Spine CT · sagittal view · bone-window reconstruction
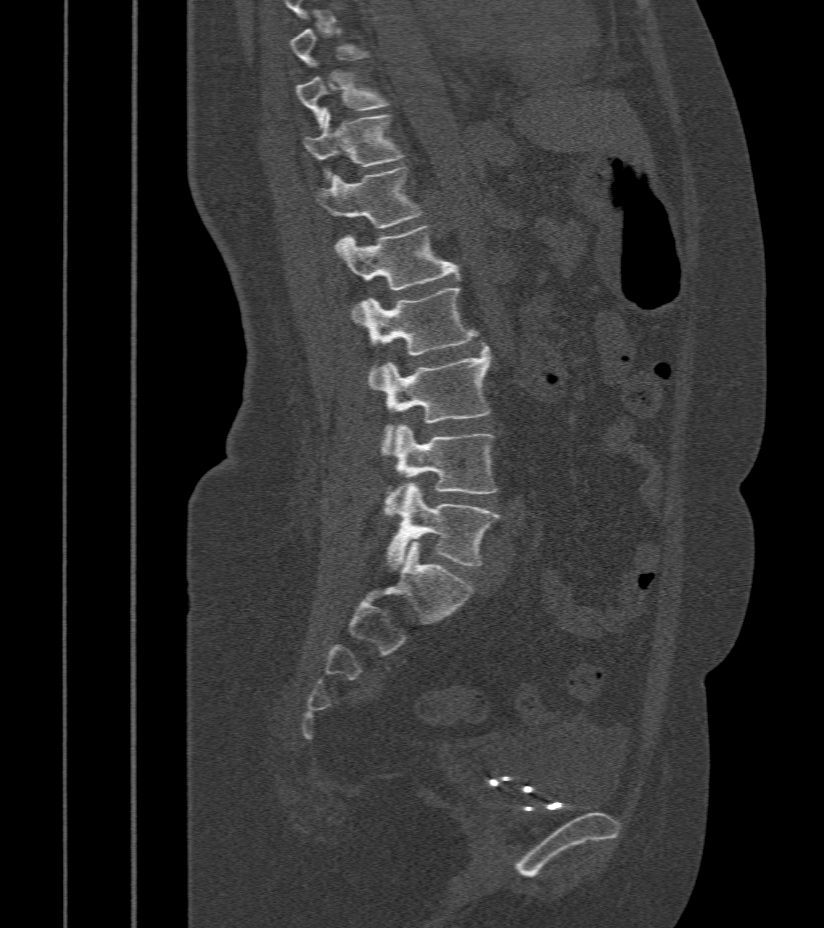 Each box given as x1,y1,x2,y2.
Each vertebra is boxed only on the slices from the first to the last where its cross-section reaches a third of its largest, so a slice outside that range leaves it unboxed.
Vertebra bounding boxes:
- T10: x1=296, y1=73, x2=387, y2=123
- T11: x1=304, y1=111, x2=403, y2=180
- T12: x1=315, y1=167, x2=421, y2=228
- L1: x1=333, y1=227, x2=459, y2=321
- L2: x1=357, y1=289, x2=477, y2=386
- L3: x1=381, y1=347, x2=491, y2=456
- L4: x1=386, y1=425, x2=496, y2=514
- L5: x1=388, y1=483, x2=500, y2=568